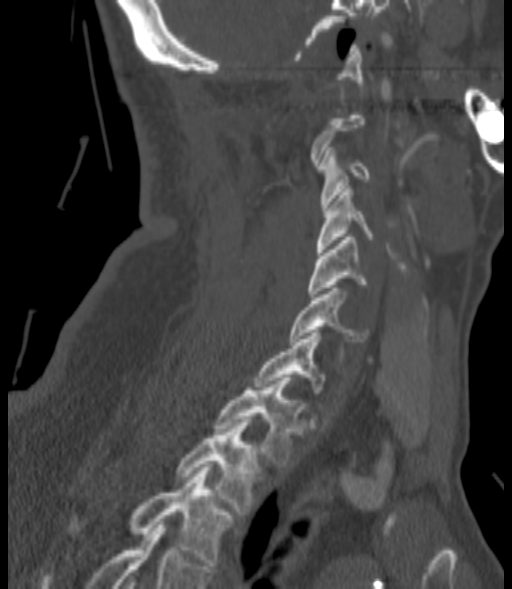
Computed tomography of the spine; sagittal view; bone-window reconstruction; 512x589 px
Each vertebra maps to its box as [x1, y1, x2, y2], the pixel coordinates of its top-left and bottom-right corners.
A vertebra gets a box only on the slices from the first to the last where its cross-section is at least a third of its largest; on a slice outside that range it gets none.
{"vertebrae":{"C3":[318,147,368,210],"C4":[316,186,374,252],"C5":[308,237,368,297],"C6":[290,288,368,341],"C7":[254,330,325,393],"T1":[216,378,299,466],"T2":[177,419,258,514],"T3":[72,467,230,565]}}